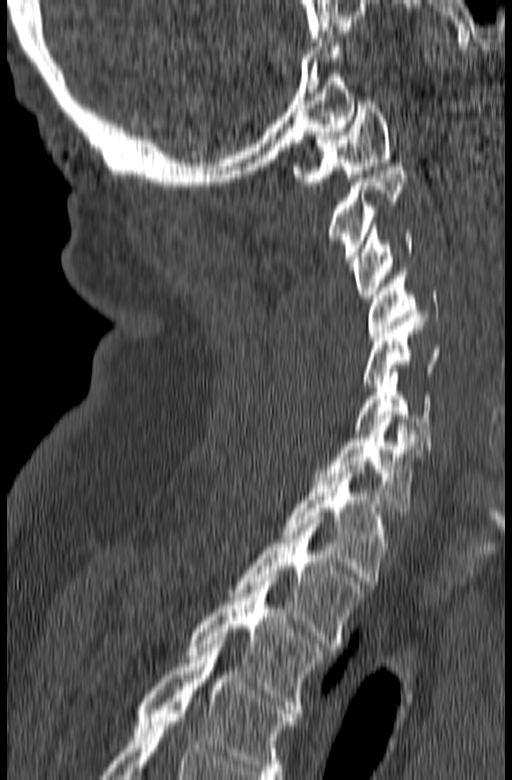

CT. sagittal view. bone window. 512x780 px

Columns x1, y1, x2, y2 give each box's top-left and bottom-right pixels.
The highest labeled vertebra in this scan is C1; the lowest is T3.
| vertebra | x1 | y1 | x2 | y2 |
|---|---|---|---|---|
| T3 | 186 | 578 | 324 | 713 |
| T2 | 229 | 520 | 366 | 647 |
| T1 | 281 | 465 | 389 | 581 |
| C7 | 314 | 415 | 426 | 511 |
| C6 | 354 | 372 | 431 | 445 |
| C5 | 363 | 318 | 441 | 387 |
| C4 | 367 | 268 | 438 | 336 |
| C3 | 352 | 225 | 413 | 298 |
| C2 | 327 | 163 | 407 | 267 |
| C1 | 292 | 101 | 391 | 185 |